Computed tomography of the spine; image 150 mm wide; sagittal reformat; bone-window reconstruction; 512x943 px; 11 vertebrae labeled in this scan
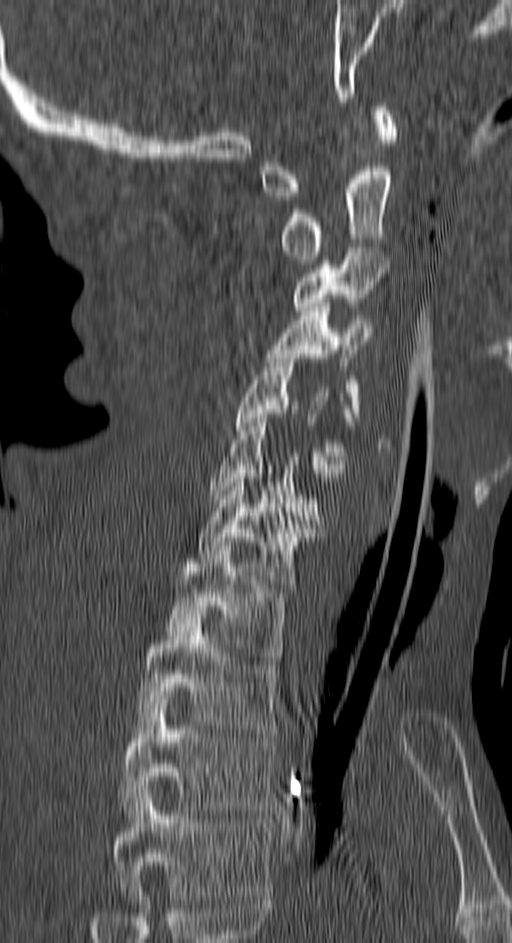

Boxes: x1 y1 x2 y2 (pixel coords, space-separated).
This scan's labels start at C1 at the top and end at T4 at the bottom.
Vertebra bounding boxes:
- T4: 110 789 270 899
- T3: 121 691 277 818
- T2: 138 614 279 733
- T1: 168 542 288 660
- C7: 199 474 314 588
- C6: 209 418 318 520
- C5: 235 354 354 473
- C4: 266 303 369 417
- C3: 295 247 386 315
- C2: 281 166 389 264
- C1: 261 102 396 200